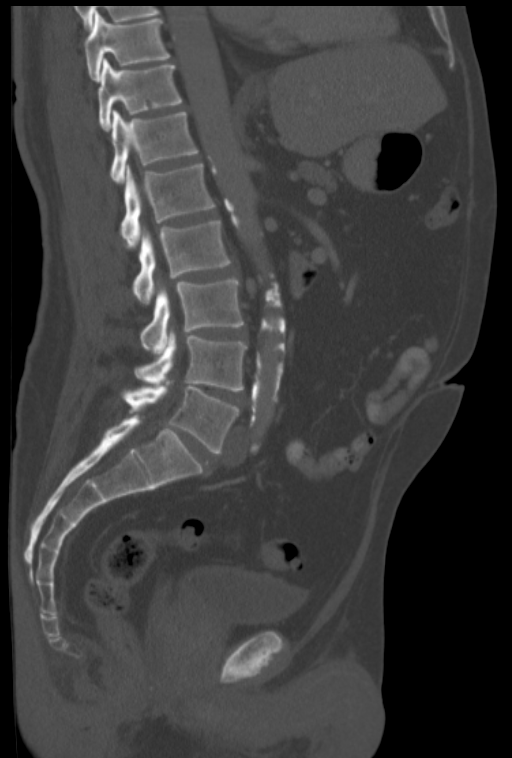 Spine computed tomography; sagittal reformat; W/L 1800/400 HU; 512x758 px

Box edges are left/top/right/bottom in pixels.
T10: left=85, top=11, right=169, bottom=80
T11: left=97, top=59, right=182, bottom=130
T12: left=110, top=110, right=198, bottom=182
L1: left=120, top=162, right=214, bottom=247
L2: left=132, top=220, right=230, bottom=304
L3: left=140, top=278, right=244, bottom=355
L4: left=134, top=331, right=246, bottom=390
L5: left=123, top=380, right=239, bottom=454